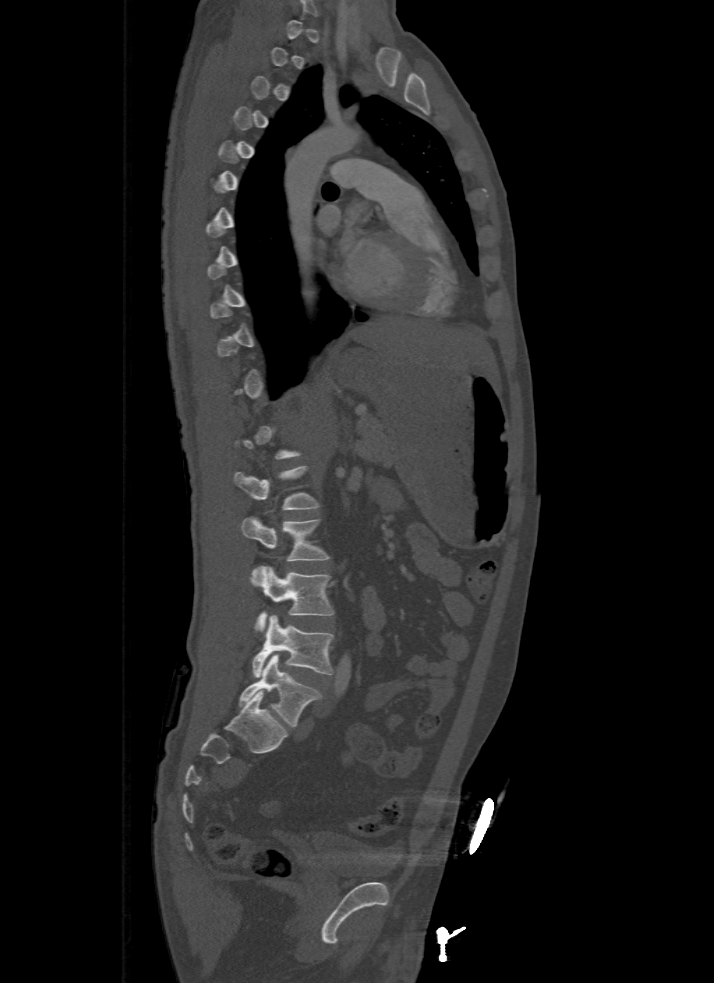

Computed tomography of the spine · sagittal view · 714x983 px · 500 mm across the image
Each box is [x1, y1, x2, y2] in pixels: top-left corner, then bottom-right corner.
A vertebra gets a box only on the slices from the first to the last where its cross-section is at least a third of its largest; on a slice outside that range it gets none.
{"vertebrae":{"L1":[234,466,318,509],"L2":[241,516,330,561],"L3":[251,566,335,632],"L4":[251,615,334,677],"L5":[239,653,321,727]}}